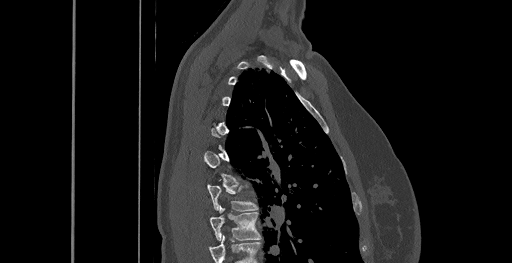
CT spine · sagittal view · W/L 1800/400 HU · 512x263 px
Boxes below are [x1, y1, x2, y2] in pixels.
A vertebra is boxed only from the first to the last slice where its cross-section is at least a third of its largest; slices outside that range leave it without a box.
This scan's labels start at C6 at the top and end at T8 at the bottom.
{"vertebrae":{"T7":[206,184,257,211],"T8":[208,206,260,240]}}